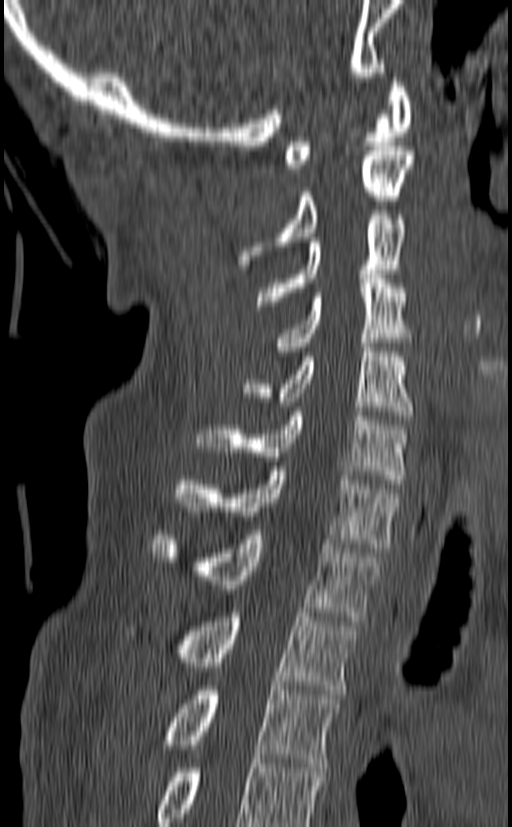

CT spine. sagittal view. 140 mm across the image
The highest labeled vertebra in this scan is C1; the lowest is T3.
<vertebrae><v name="C1" x1="284" y1="78" x2="412" y2="168"/><v name="C2" x1="237" y1="146" x2="414" y2="269"/><v name="C3" x1="256" y1="215" x2="406" y2="310"/><v name="C4" x1="275" y1="274" x2="410" y2="356"/><v name="C5" x1="242" y1="343" x2="414" y2="420"/><v name="C6" x1="195" y1="411" x2="406" y2="484"/><v name="C7" x1="177" y1="466" x2="399" y2="552"/><v name="T1" x1="151" y1="530" x2="381" y2="621"/><v name="T2" x1="126" y1="608" x2="359" y2="694"/><v name="T3" x1="162" y1="686" x2="340" y2="767"/></vertebrae>